CT, spine; image width 368 mm; sagittal plane, index 264; 613x1182 px
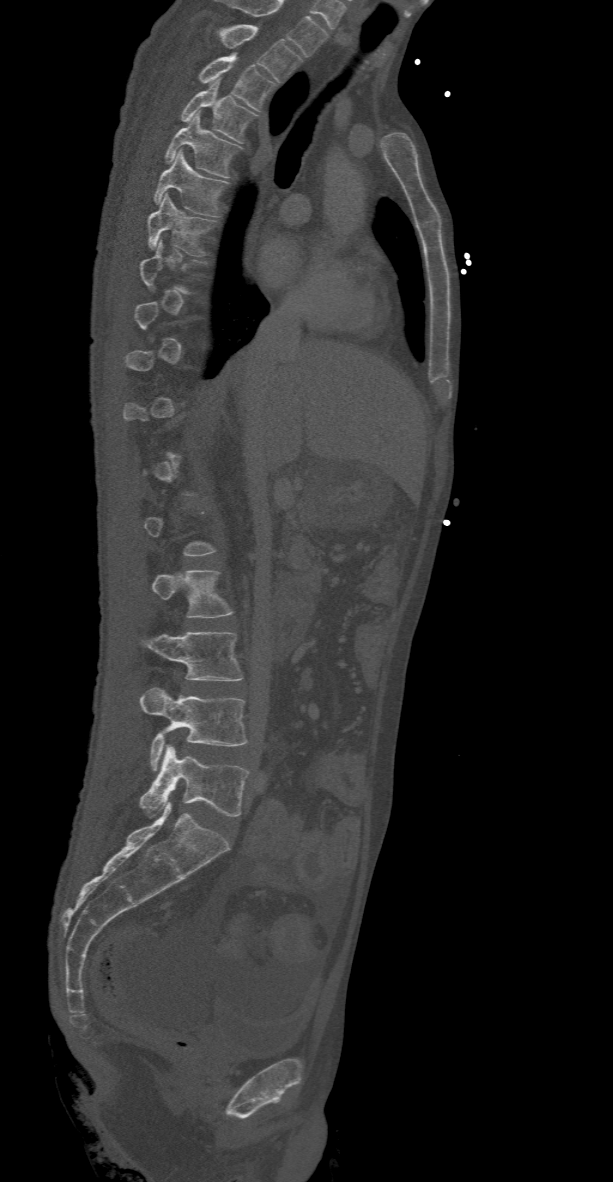

Each vertebra maps to its box as [x1, y1, x2, y2], the pixel coordinates of its top-left and bottom-right corners.
A vertebra is boxed only from the first to the last slice where its cross-section is at least a third of its largest; slices outside that range leave it without a box.
Labels in this scan begin with T2 at the top and end with L5 at the bottom.
{"vertebrae":{"T2":[214,24,302,81],"T3":[196,54,277,110],"T4":[180,78,259,143],"T5":[164,112,242,178],"T6":[153,151,229,216],"T7":[149,192,217,255],"L2":[151,571,234,618],"L3":[138,632,243,680],"L4":[140,687,248,771],"L5":[139,746,248,818]}}